CT, spine — Sagittal slice 50/76 — 392x1568 px — scan covers 24 annotated vertebrae — part of the image has been replaced by a constant value
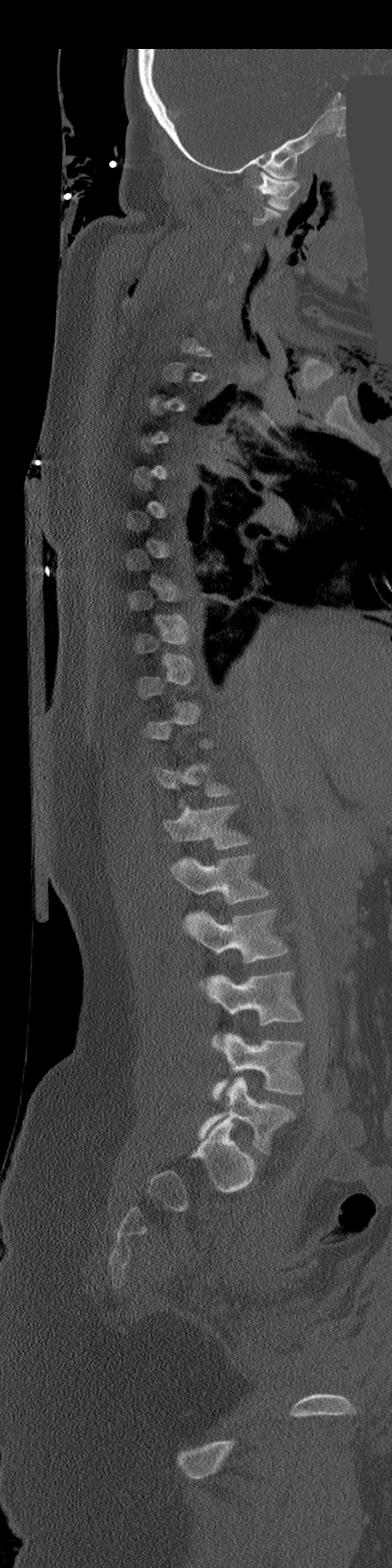 Box edges are left/top/right/bottom in pixels. A vertebra is boxed only from the first to the last slice where its cross-section is at least a third of its largest; slices outside that range leave it without a box. 7 vertebrae labeled — L5 at left=198, top=1078, right=295, bottom=1153; L4 at left=212, top=1034, right=304, bottom=1099; L3 at left=208, top=971, right=302, bottom=1048; L2 at left=183, top=908, right=287, bottom=962; L1 at left=171, top=855, right=270, bottom=903; T12 at left=164, top=805, right=249, bottom=848; C1 at left=257, top=171, right=300, bottom=210.